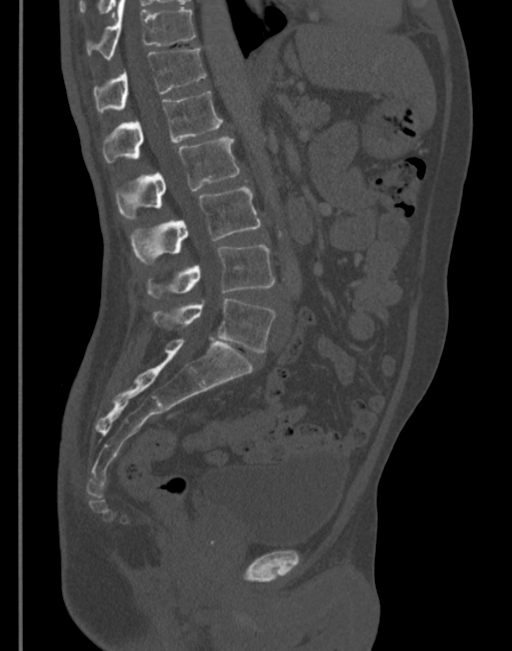
Computed tomography of the spine; sagittal view; Bone window (WL 400, WW 1800)
Each row gives a vertebra's box as x1, y1, x2, y2 in pixels: top-left corner, then bottom-right corner.
| vertebra | x1 | y1 | x2 | y2 |
|---|---|---|---|---|
| T11 | 86 | 0 | 195 | 60 |
| T12 | 93 | 49 | 207 | 113 |
| L1 | 102 | 91 | 223 | 162 |
| L2 | 116 | 138 | 239 | 220 |
| L3 | 130 | 186 | 260 | 264 |
| L4 | 147 | 245 | 275 | 298 |
| L5 | 153 | 299 | 275 | 352 |